Spine computed tomography; sagittal plane, index 27; W/L 1800/400 HU; image 218 mm wide
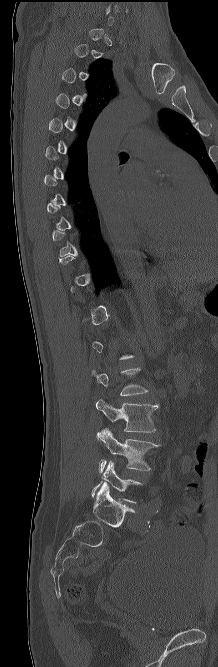 Not every vertebra on this slice has a box: a vertebra is boxed only from the first to the last slice where its cross-section is at least a third of its largest, and this slice is outside that range for at least one of them.
<vertebrae><v name="L3" x1="95" y1="399" x2="158" y2="432"/><v name="L4" x1="96" y1="428" x2="161" y2="472"/><v name="L5" x1="91" y1="460" x2="142" y2="502"/></vertebrae>